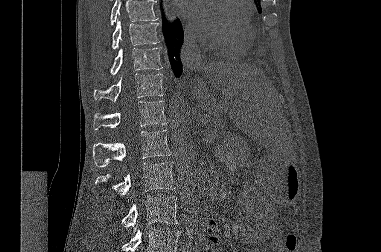

CT, spine. sagittal view. bone-window reconstruction

Each row gives a vertebra's box as x1, y1, x2, y2 in pixels: top-left corner, then bottom-right corner.
Where the top or bottom of the scan cuts through a vertebra, that vertebra gets no label or box.
| vertebra | x1 | y1 | x2 | y2 |
|---|---|---|---|---|
| L3 | 122 | 196 | 177 | 233 |
| L2 | 95 | 162 | 175 | 195 |
| L1 | 93 | 130 | 171 | 167 |
| T12 | 93 | 101 | 166 | 129 |
| T11 | 94 | 73 | 163 | 102 |
| T10 | 109 | 48 | 162 | 75 |
| T9 | 112 | 20 | 159 | 49 |